CT — sagittal plane, index 260 — Bone window (WL 400, WW 1800)
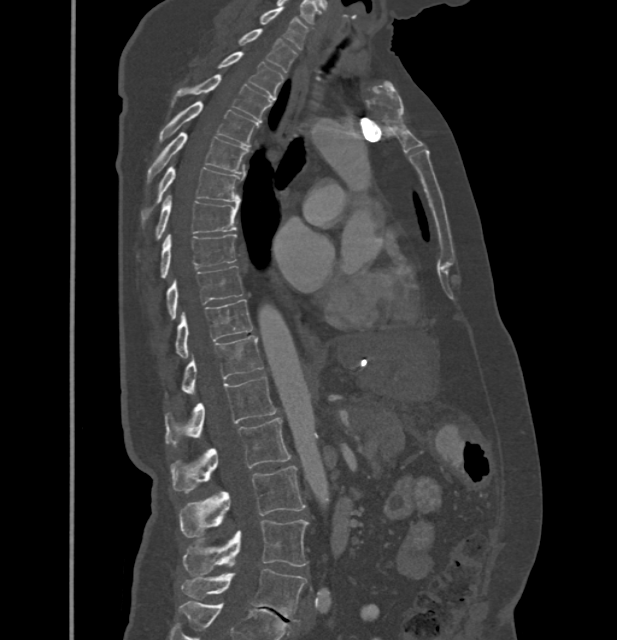

Each box given as x1,y1,x2,y2.
In these labels the spine has no T12: the thoracic vertebrae end at T11, and L1 comes next.
C7: x1=260, y1=9, x2=308, y2=49
T1: x1=239, y1=29, x2=296, y2=72
T2: x1=218, y1=52, x2=283, y2=99
T3: x1=171, y1=75, x2=270, y2=122
T4: x1=158, y1=102, x2=259, y2=146
T5: x1=147, y1=132, x2=247, y2=184
T6: x1=141, y1=166, x2=240, y2=226
T7: x1=155, y1=195, x2=239, y2=239
T8: x1=160, y1=235, x2=236, y2=278
T9: x1=165, y1=266, x2=241, y2=319
T10: x1=174, y1=299, x2=252, y2=356
T11: x1=165, y1=336, x2=263, y2=396
L1: x1=164, y1=376, x2=276, y2=446
L2: x1=170, y1=417, x2=291, y2=492
L3: x1=180, y1=466, x2=305, y2=536
L4: x1=183, y1=520, x2=308, y2=575
L5: x1=181, y1=569, x2=306, y2=621